Spine CT. sagittal plane, index 73
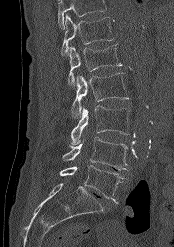 Boxes: x1:y1:x2:y2 in pixels. A vertebra cut off by the top edge of the scan is not labeled and has no box. Vertebrae labeled: T12 at 61:14:113:56, L1 at 68:44:121:86, L2 at 71:73:129:118, L3 at 71:105:129:144, L4 at 62:137:129:170, L5 at 59:165:124:203.